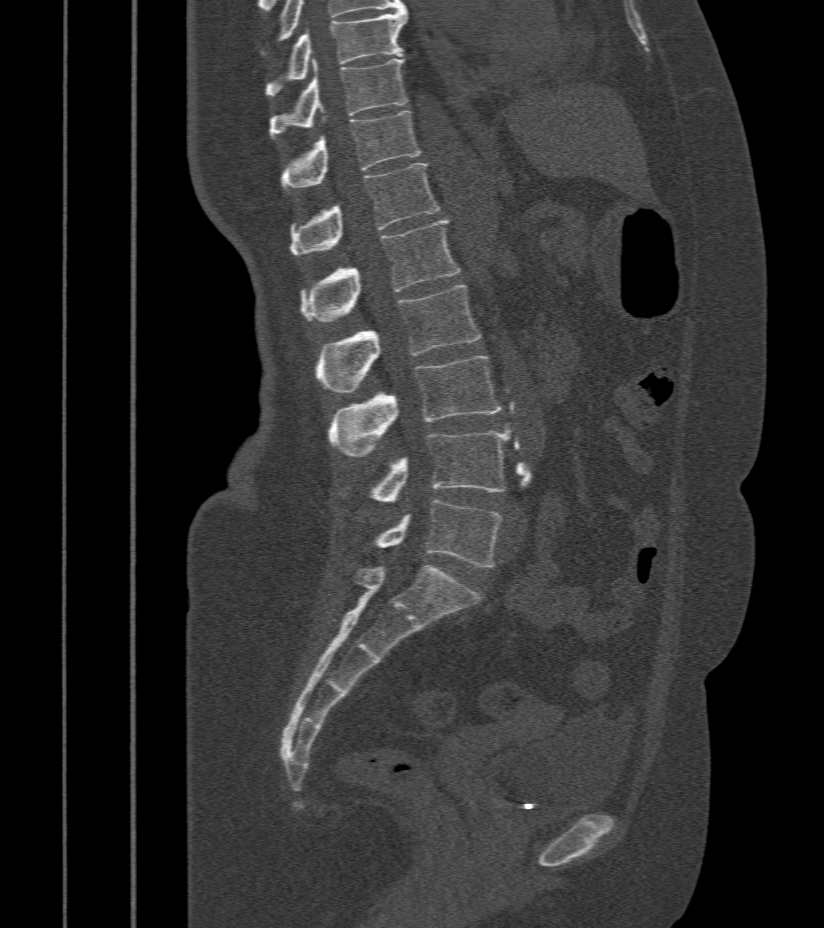
Spine CT. sagittal view
Boxes: x1 y1 x2 y2 (pixel coords, space-separated). The labeled vertebrae in this slice are: L5 at 377 501 501 568, L4 at 370 431 509 504, L3 at 328 357 503 458, L2 at 315 285 480 394, L1 at 299 219 461 322, T12 at 290 163 442 256, T11 at 282 111 421 190, T10 at 270 59 406 138, T9 at 266 9 406 96.